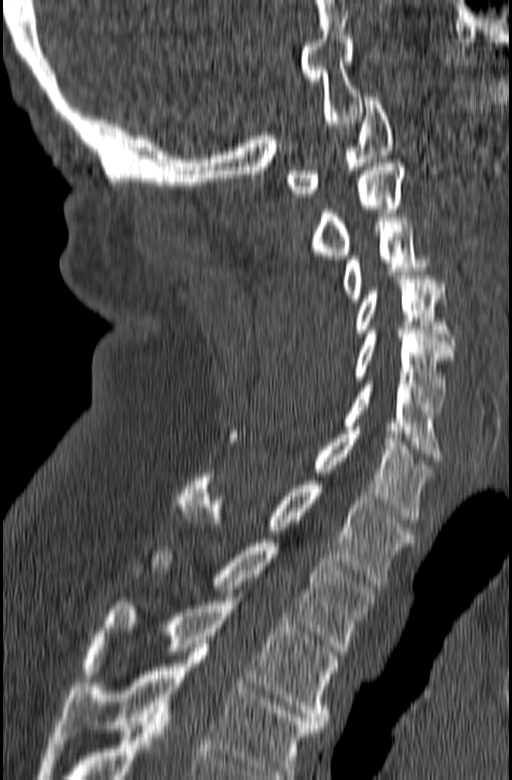

Computed tomography of the spine; sagittal view; W/L 1800/400 HU; 165 mm image width. Coordinates as <box>x1,y1,x2,y2</box>.
The highest labeled vertebra in this scan is C1; the lowest is T3.
T3: <box>83,597,338,728</box>
T2: <box>149,539,376,651</box>
T1: <box>175,473,416,585</box>
C7: <box>230,427,434,523</box>
C6: <box>342,380,441,461</box>
C5: <box>355,330,452,414</box>
C4: <box>355,275,455,348</box>
C3: <box>342,217,448,302</box>
C2: <box>311,163,404,259</box>
C1: <box>286,97,394,197</box>